Spine computed tomography. sagittal plane, index 268. 512x905 px. 18 vertebrae labeled in this scan
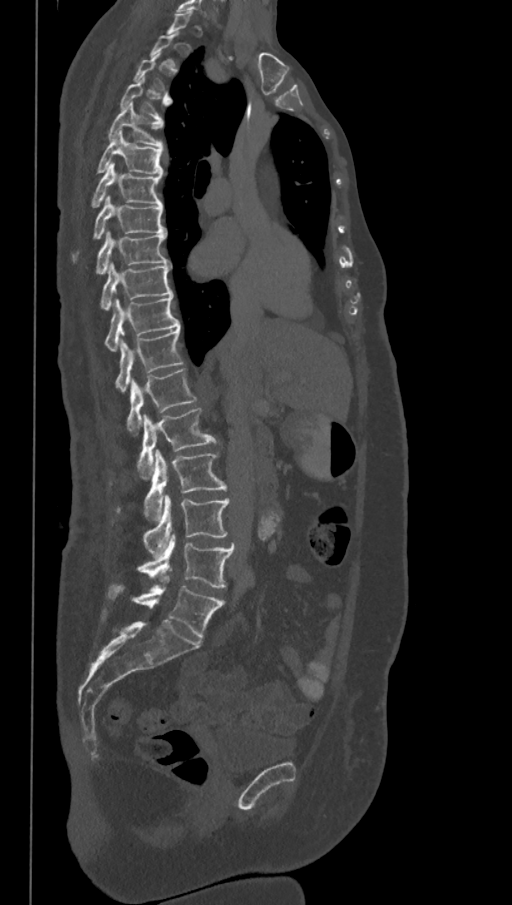
In the table, x1 and y1 are a box's top-left corner and x2 and y2 its bottom-right corner, in pixels.
Not every vertebra on this slice has a box: a vertebra is boxed only from the first to the last slice where its cross-section is at least a third of its largest, and this slice is outside that range for at least one of them.
The labels name a sixth lumbar vertebra for this spine: L6, after L5.
| vertebra | x1 | y1 | x2 | y2 |
|---|---|---|---|---|
| L6 | 107 | 577 | 224 | 638 |
| L5 | 136 | 533 | 234 | 588 |
| L4 | 142 | 493 | 231 | 556 |
| L3 | 110 | 450 | 227 | 520 |
| L2 | 138 | 407 | 220 | 479 |
| L1 | 126 | 368 | 196 | 435 |
| T12 | 115 | 328 | 182 | 392 |
| T11 | 104 | 294 | 180 | 351 |
| T10 | 100 | 263 | 173 | 311 |
| T9 | 94 | 232 | 170 | 274 |
| T8 | 71 | 195 | 166 | 263 |
| T7 | 90 | 163 | 163 | 207 |
| T6 | 96 | 131 | 163 | 176 |
| T5 | 107 | 103 | 163 | 147 |
| T4 | 119 | 76 | 171 | 119 |